CT, spine · sagittal plane, index 101 · 173x184 px · a region of this slice is masked with a uniform fill
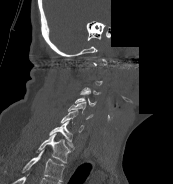

Boxes: x1 y1 x2 y2 (pixel coords, space-separated).
Each vertebra is boxed only on the slices from the first to the last where its cross-section reaches a third of its largest, so a slice outside that range leaves it unboxed.
In this scan, the topmost labeled vertebra is C1 and the lowest is T1.
C3: 80 87 100 95
C5: 68 102 93 119
C6: 60 110 84 132
C7: 49 120 74 149
T1: 35 133 70 163